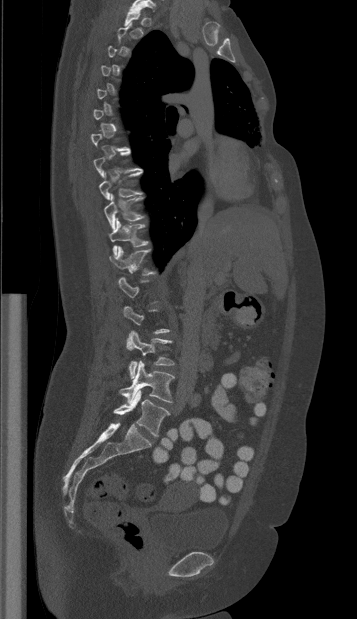
CT spine · sagittal view · bone window

Box values are [left, top, right, bottom] in pixels.
A vertebra gets a box only on the slices from the first to the last where its cross-section is at least a third of its largest; on a slice outside that range it gets none.
{"vertebrae":{"T10":[104,194,143,229],"T11":[108,219,148,255],"T12":[109,246,155,275],"L3":[126,331,174,378],"L4":[119,361,174,402],"L5":[113,390,170,436]}}